CT spine — sagittal reformat
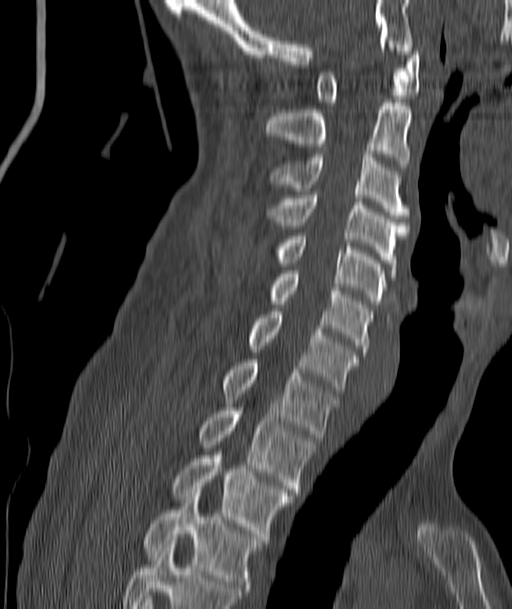 Each box is [x1, y1, x2, y2] in pixels: top-left corner, then bottom-right corner.
{"vertebrae":{"T4":[143,493,260,588],"T3":[173,452,293,536],"T2":[201,411,312,492],"T1":[223,359,337,437],"C7":[250,311,359,389],"C6":[272,274,372,355],"C5":[277,233,386,304],"C4":[269,192,408,269],"C3":[272,154,408,218],"C2":[266,99,411,167],"C1":[316,48,419,105]}}